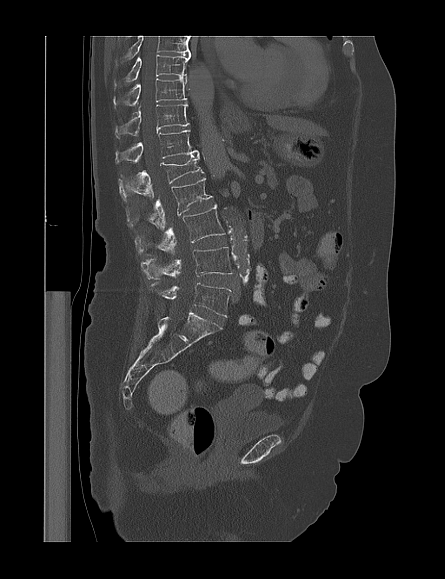

CT; sagittal reformat; 445 mm across the image

Box edges are left/top/right/bottom in pixels.
This scan's labels start at T9 at the top and end at L5 at the bottom.
| vertebra | x1 | y1 | x2 | y2 |
|---|---|---|---|---|
| L5 | 151 | 282 | 230 | 317 |
| L4 | 141 | 247 | 231 | 279 |
| L3 | 135 | 205 | 225 | 256 |
| L2 | 126 | 177 | 212 | 229 |
| L1 | 118 | 154 | 203 | 201 |
| T12 | 115 | 130 | 198 | 164 |
| T11 | 115 | 101 | 189 | 138 |
| T10 | 114 | 77 | 186 | 106 |
| T9 | 114 | 55 | 189 | 88 |